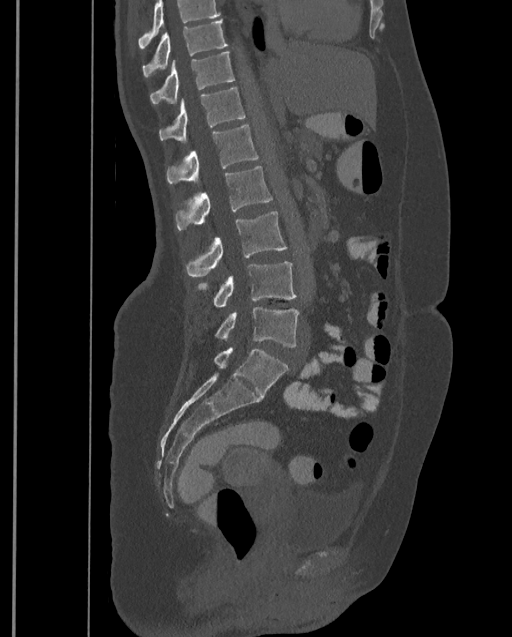 Spine CT · sagittal reformat
Boxes: x1 y1 x2 y2 (pixel coords, space-separated). A vertebra cut off by the top edge of the scan is not labeled and has no box. Labels in this scan begin with T9 at the top and end with L4 at the bottom. 8 vertebrae labeled — T9 at 142 20 227 78; T10 at 150 51 234 104; T11 at 159 87 245 142; T12 at 166 125 258 185; L1 at 176 166 272 231; L2 at 185 211 286 277; L3 at 196 262 297 307; L4 at 214 306 299 347.